CT · sagittal plane, index 278 · 512x842 px · scan covers 17 annotated vertebrae
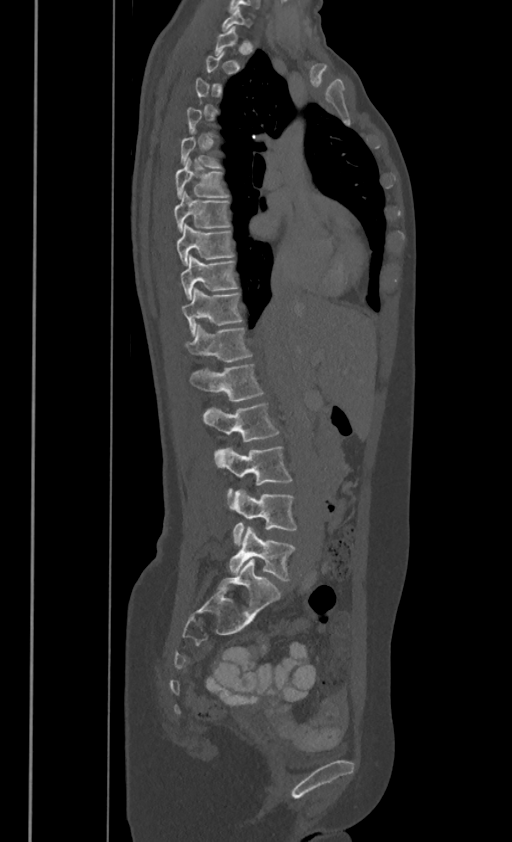

Coordinates as <box>x1,y1,x2,y2</box>. A vertebra is boxed only from the first to the last slice where its cross-section is at least a third of its largest; slices outside that range leave it without a box. These labels give this spine no T12: after T11 the next vertebra is L1. The labeled vertebrae in this slice are: T5 at <box>180,135,220,167</box>, T6 at <box>175,158,228,197</box>, T7 at <box>174,191,230,231</box>, T8 at <box>176,222,234,264</box>, T9 at <box>180,254,238,299</box>, T10 at <box>182,288,242,334</box>, T11 at <box>186,324,252,361</box>, L1 at <box>190,363,263,400</box>, L2 at <box>203,401,279,442</box>, L3 at <box>215,446,292,498</box>, L4 at <box>231,489,297,545</box>, L5 at <box>229,526,295,580</box>.